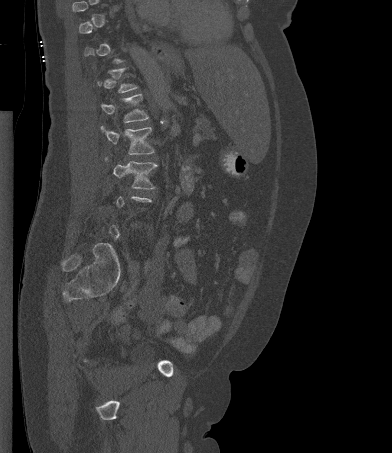
Spine CT — sagittal view — bone window — 392x453 px
Each vertebra maps to its box as [x1, y1, x2, y2], the pixel coordinates of its top-left and bottom-right corners.
A vertebra is boxed only from the first to the last slice where its cross-section is at least a third of its largest; slices outside that range leave it without a box.
{"vertebrae":{"L3":[105,157,157,189],"L2":[100,125,154,154],"L1":[101,94,148,122]}}